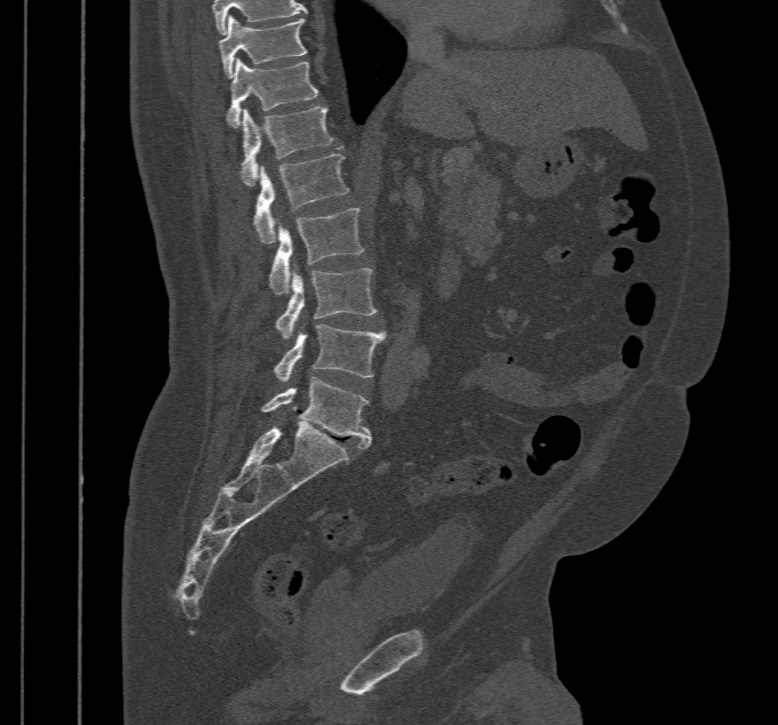

Spine computed tomography · sagittal reformat · 778x725 px

Boxes below are [x1, y1, x2, y2] in pixels.
{"vertebrae":{"L5":[260,377,371,448],"L4":[272,324,385,381],"L3":[275,268,378,338],"L2":[268,209,364,294],"L1":[254,153,349,243],"T12":[240,107,333,186],"T11":[227,58,317,128],"T10":[219,15,308,78]}}